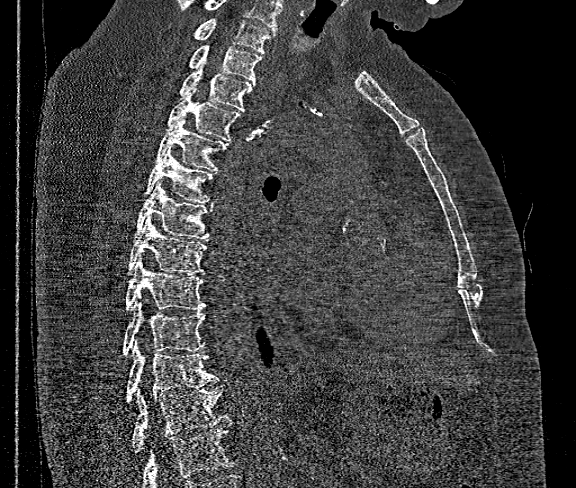 Computed tomography of the spine. sagittal view. Bone window (WL 400, WW 1800)
Each box given as x1,y1,x2,y2.
Where the bottom of the scan cuts through a vertebra, that vertebra gets no label or box.
The highest labeled vertebra in this scan is T1; the lowest is T12.
Vertebra bounding boxes:
- T1: x1=193, y1=18, x2=276, y2=52
- T2: x1=189, y1=45, x2=261, y2=83
- T3: x1=179, y1=59, x2=254, y2=111
- T4: x1=164, y1=93, x2=241, y2=140
- T5: x1=155, y1=117, x2=227, y2=171
- T6: x1=144, y1=148, x2=213, y2=203
- T7: x1=134, y1=182, x2=212, y2=239
- T8: x1=128, y1=216, x2=207, y2=273
- T9: x1=125, y1=256, x2=205, y2=310
- T10: x1=123, y1=301, x2=205, y2=356
- T11: x1=126, y1=343, x2=218, y2=403
- T12: x1=133, y1=386, x2=227, y2=452